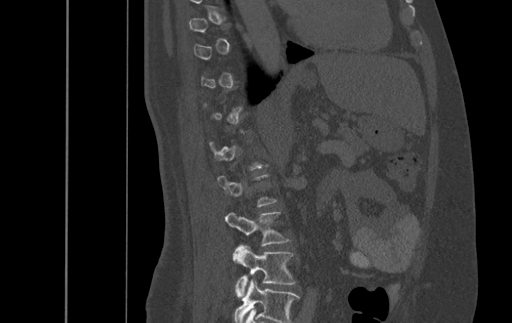

Computed tomography of the spine. sagittal view. 512x323 px

Box edges are left/top/right/bottom in pixels. Not every vertebra on this slice has a box: a vertebra is boxed only from the first to the last slice where its cross-section is at least a third of its largest, and this slice is outside that range for at least one of them. This scan's labels start at T9 at the top and end at L4 at the bottom. Vertebrae labeled: L3 at left=225, top=212, right=288, bottom=246, L4 at left=233, top=245, right=295, bottom=298.